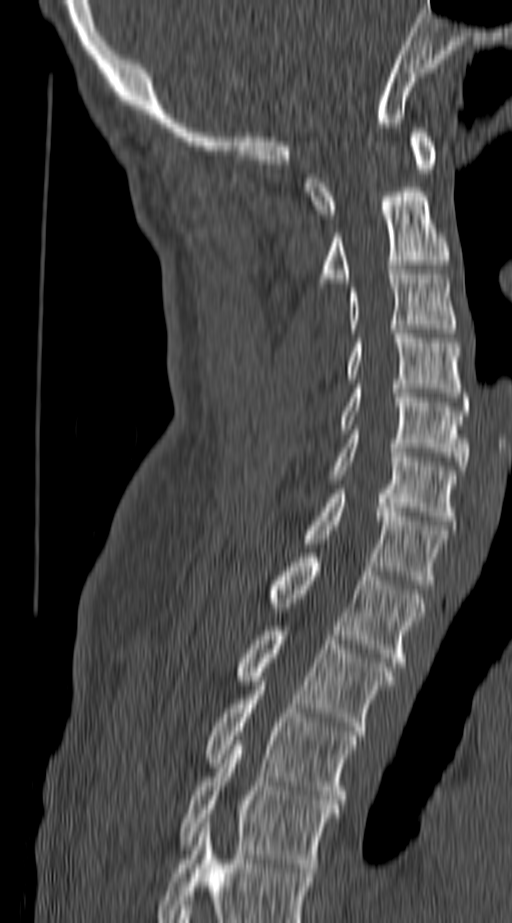 Spine computed tomography · sagittal view · 512x923 px. Boxes are (x1, y1, x2, y2) in pixels.
This scan's labels start at C1 at the top and end at T4 at the bottom.
Vertebra bounding boxes:
- T4: (181, 741, 337, 872)
- T3: (206, 681, 355, 804)
- T2: (239, 626, 395, 730)
- T1: (272, 553, 425, 666)
- C7: (305, 489, 447, 584)
- C6: (330, 434, 454, 525)
- C5: (341, 384, 468, 470)
- C4: (349, 329, 461, 397)
- C3: (349, 270, 454, 333)
- C2: (323, 187, 450, 282)
- C1: (305, 128, 436, 218)